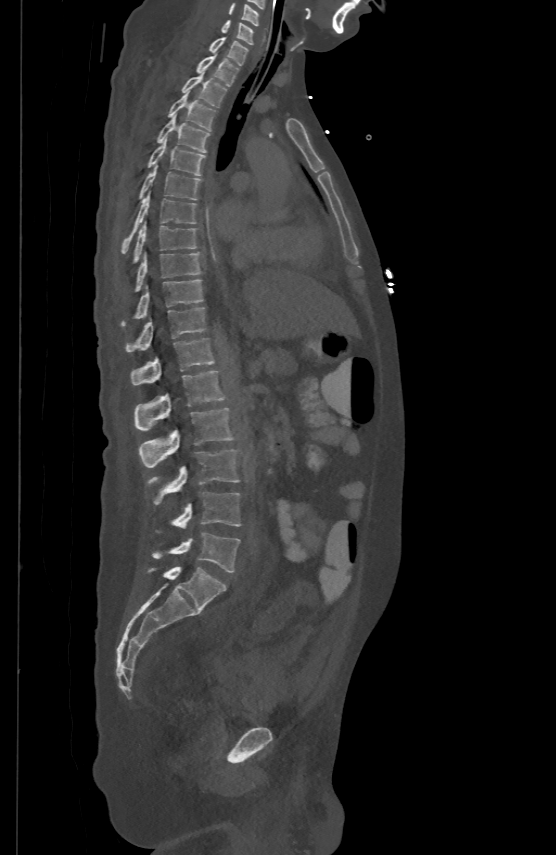

CT spine. sagittal view. 556x855 px
<vertebrae><v name="C5" x1="229" y1="2" x2="258" y2="24"/><v name="C6" x1="221" y1="19" x2="252" y2="43"/><v name="C7" x1="211" y1="36" x2="247" y2="64"/><v name="T1" x1="196" y1="53" x2="238" y2="84"/><v name="T2" x1="182" y1="72" x2="226" y2="106"/><v name="T3" x1="168" y1="92" x2="216" y2="130"/><v name="T4" x1="156" y1="113" x2="210" y2="151"/><v name="T5" x1="148" y1="137" x2="204" y2="175"/><v name="T6" x1="140" y1="164" x2="200" y2="199"/><v name="T7" x1="123" y1="192" x2="195" y2="252"/><v name="T8" x1="135" y1="221" x2="195" y2="260"/><v name="T9" x1="136" y1="252" x2="200" y2="289"/><v name="T10" x1="122" y1="279" x2="203" y2="325"/><v name="T11" x1="126" y1="306" x2="205" y2="351"/><v name="T12" x1="131" y1="337" x2="214" y2="383"/><v name="L1" x1="135" y1="370" x2="224" y2="431"/><v name="L2" x1="139" y1="406" x2="232" y2="467"/><v name="L3" x1="146" y1="450" x2="239" y2="504"/><v name="L4" x1="155" y1="492" x2="241" y2="533"/><v name="L5" x1="151" y1="533" x2="240" y2="572"/></vertebrae>